CT. sagittal plane, index 25. bone window. 123x242 px. 8 vertebrae labeled in this scan
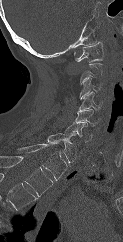
Boxes are (x1, y1, x2, y2) in pixels. Not every vertebra on this slice has a box: a vertebra is boxed only from the first to the last slice where its cross-section is at least a third of its largest, and this slice is outside that range for at least one of them. The highest labeled vertebra in this scan is C1; the lowest is T1. The labeled vertebrae in this slice are: C1 at (74, 42, 103, 62), C3 at (79, 77, 102, 99), C4 at (78, 91, 102, 110), C5 at (72, 109, 98, 126), C6 at (64, 123, 93, 142), C7 at (47, 132, 77, 162), T1 at (17, 144, 66, 180).